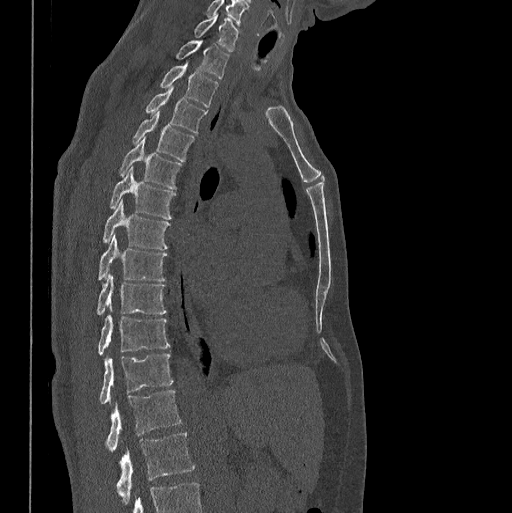
Computed tomography of the spine. sagittal view. Boxes are (x1, y1, x2, y2) in pixels. This scan's labels start at C7 at the top and end at L1 at the bottom. The labeled vertebrae in this slice are: L1 at (116, 432, 194, 500), T12 at (107, 390, 180, 452), T11 at (99, 353, 173, 404), T10 at (98, 315, 169, 354), T9 at (96, 273, 166, 315), T8 at (98, 235, 166, 280), T7 at (103, 200, 170, 249), T6 at (109, 167, 175, 219), T5 at (119, 138, 182, 189), T4 at (132, 111, 194, 161), T3 at (145, 87, 207, 132), T2 at (161, 63, 218, 107), T1 at (176, 39, 228, 79), C7 at (194, 14, 238, 51).